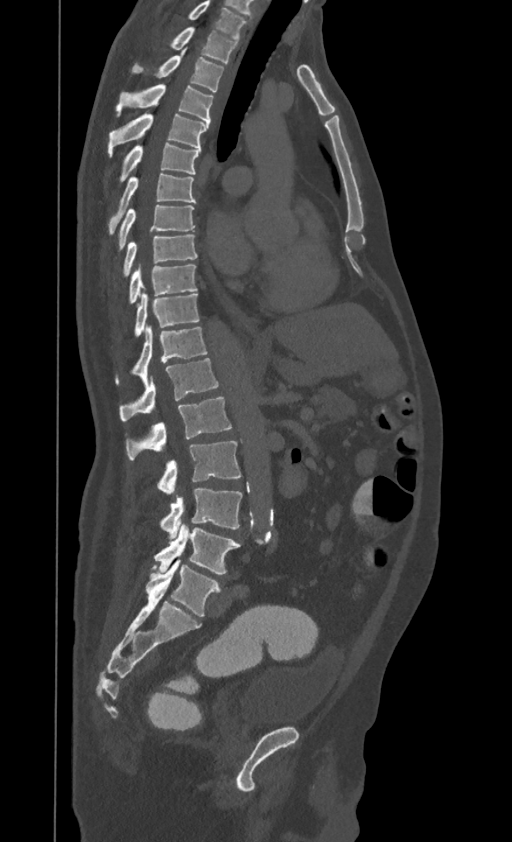

CT spine. sagittal view. 512x842 px

Bounding boxes as [x1, y1, x2, y2] in pixel coordinates. The highest labeled vertebra in this scan is T1; the lowest is L4. 16 vertebrae labeled — T1 at [172, 27, 236, 63]; T2 at [133, 48, 223, 92]; T3 at [117, 84, 213, 124]; T4 at [109, 113, 208, 155]; T5 at [119, 142, 201, 182]; T6 at [107, 173, 196, 235]; T7 at [118, 204, 195, 252]; T8 at [122, 234, 197, 277]; T9 at [128, 265, 197, 305]; T10 at [133, 293, 200, 338]; T11 at [115, 327, 208, 384]; T12 at [119, 358, 218, 421]; L1 at [126, 397, 231, 459]; L2 at [155, 441, 241, 492]; L3 at [159, 489, 241, 538]; L4 at [154, 525, 240, 574].